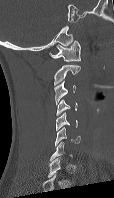
CT · sagittal view · 114x198 px. Each row gives a vertebra's box as x1, y1, x2, y2 in pixels: top-left corner, then bottom-right corner.
Not every vertebra on this slice has a box: a vertebra is boxed only from the first to the last slice where its cross-section is at least a third of its largest, and this slice is outside that range for at least one of them.
| vertebra | x1 | y1 | x2 | y2 |
|---|---|---|---|---|
| C1 | 49 | 40 | 80 | 61 |
| C2 | 54 | 64 | 80 | 86 |
| C3 | 54 | 81 | 76 | 105 |
| C4 | 56 | 99 | 77 | 116 |
| C5 | 55 | 112 | 77 | 130 |
| C6 | 55 | 127 | 80 | 145 |